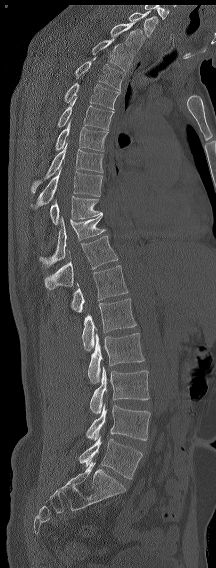

Spine CT · sagittal view · bone window
Labels in this scan begin with C7 at the top and end with L6 at the bottom.
In these labels the spine has an L6, a sixth lumbar vertebra below L5.
<vertebrae><v name="C7" x1="128" y1="11" x2="158" y2="37"/><v name="T1" x1="110" y1="22" x2="144" y2="53"/><v name="T2" x1="92" y1="38" x2="132" y2="71"/><v name="T3" x1="75" y1="57" x2="125" y2="91"/><v name="T4" x1="64" y1="83" x2="120" y2="109"/><v name="T5" x1="57" y1="97" x2="114" y2="130"/><v name="T6" x1="55" y1="120" x2="108" y2="151"/><v name="T7" x1="31" y1="143" x2="103" y2="193"/><v name="T8" x1="31" y1="167" x2="102" y2="208"/><v name="T9" x1="50" y1="196" x2="102" y2="225"/><v name="T11" x1="38" y1="215" x2="106" y2="267"/><v name="T12" x1="44" y1="236" x2="118" y2="289"/><v name="L1" x1="71" y1="265" x2="128" y2="312"/><v name="L2" x1="81" y1="298" x2="136" y2="351"/><v name="L3" x1="88" y1="333" x2="144" y2="383"/><v name="L4" x1="89" y1="366" x2="149" y2="414"/><v name="L5" x1="86" y1="404" x2="150" y2="440"/><v name="L6" x1="79" y1="436" x2="142" y2="479"/></vertebrae>